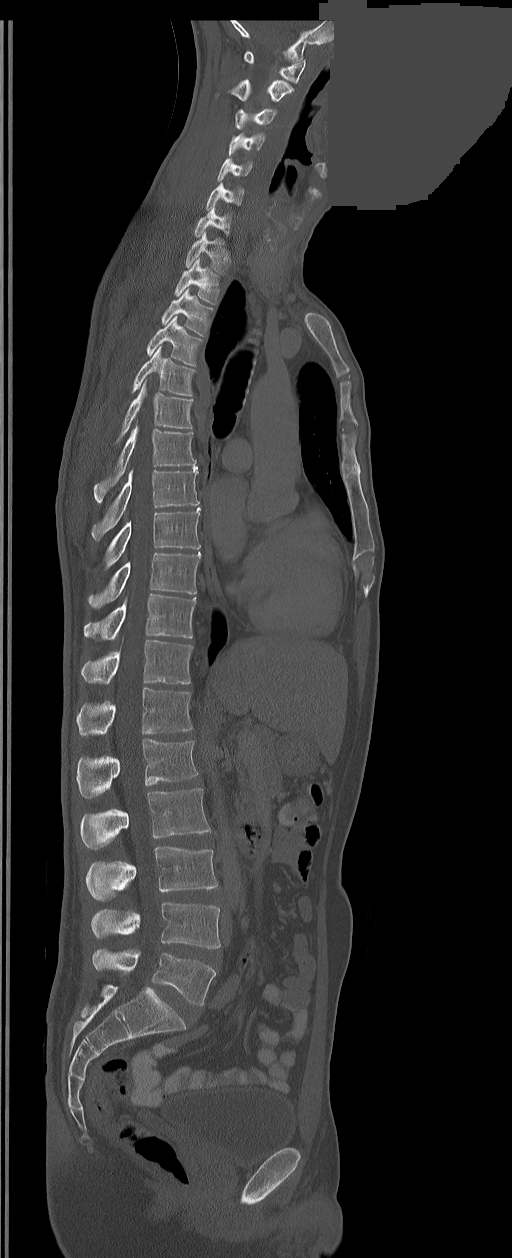
CT. sagittal view. 512x1258 px. a region of this slice is masked with a uniform fill

Boxes: x1 y1 x2 y2 (pixel coords, space-separated).
In these labels the spine has an L6, a sixth lumbar vertebra below L5.
Vertebra bounding boxes:
- C1: 244 51 305 83
- C2: 230 79 293 102
- C3: 236 108 276 129
- C4: 228 133 264 156
- C5: 217 158 252 181
- C6: 205 182 244 210
- C7: 195 207 230 236
- T1: 186 231 229 273
- T2: 174 259 219 303
- T3: 161 289 211 336
- T4: 147 316 201 365
- T5: 132 346 194 396
- T6: 117 379 192 440
- T7: 94 424 195 502
- T8: 92 467 198 540
- T9: 106 508 201 568
- T10: 88 552 201 608
- T11: 84 594 195 640
- T12: 81 639 192 684
- L1: 76 688 192 735
- L2: 76 739 197 798
- L3: 81 789 210 849
- L4: 87 847 217 900
- L5: 91 903 220 949
- L6: 92 948 216 1006